CT · 368 mm across the image · Sagittal slice 214/512 · bone window · a region of this slice is masked with a uniform fill
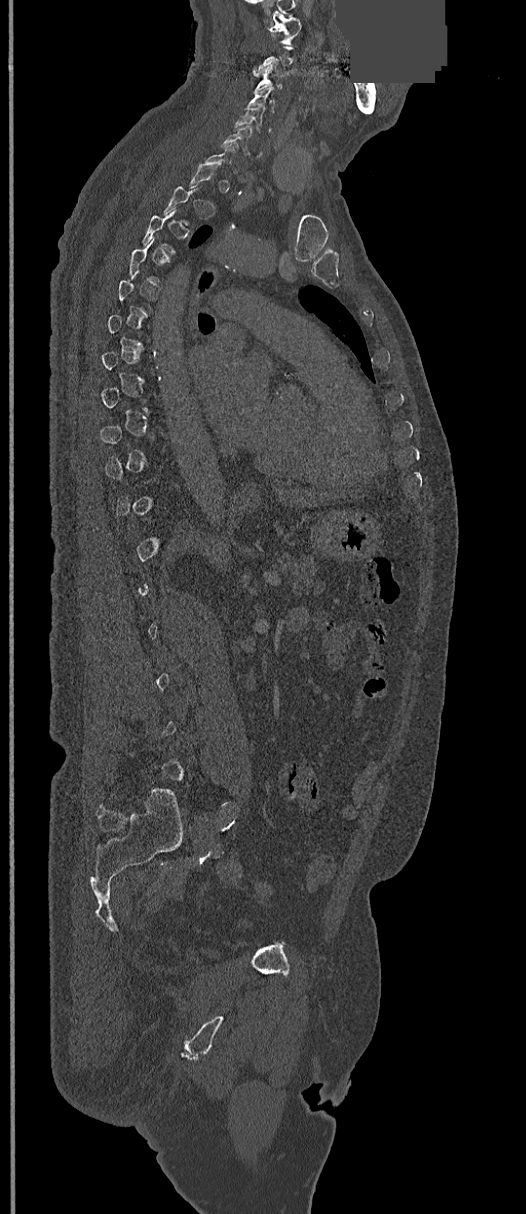 A vertebra is boxed only from the first to the last slice where its cross-section is at least a third of its largest; slices outside that range leave it without a box.
<vertebrae><v name="C1" x1="269" y1="11" x2="300" y2="42"/><v name="C3" x1="255" y1="62" x2="283" y2="88"/><v name="C4" x1="246" y1="87" x2="274" y2="112"/><v name="C5" x1="235" y1="106" x2="273" y2="133"/><v name="C6" x1="221" y1="126" x2="252" y2="153"/></vertebrae>